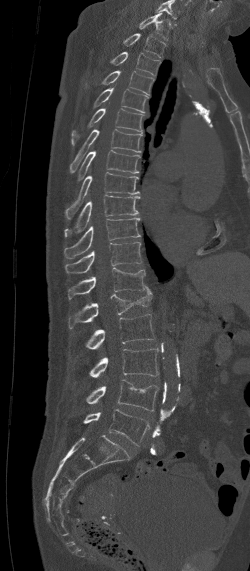
CT. sagittal view. Bone window (WL 400, WW 1800)
Each vertebra maps to its box as [x1, y1, x2, y2], the pixel coordinates of its top-left and bottom-right corners.
In this scan, the topmost labeled vertebra is C7 and the lowest is L5.
{"vertebrae":{"C7":[139,13,170,39],"T1":[123,33,166,57],"T2":[110,52,160,74],"T3":[85,70,153,95],"T4":[94,88,149,112],"T5":[71,102,144,145],"T6":[69,129,143,173],"T7":[77,150,140,182],"T8":[65,172,139,218],"T9":[64,195,139,237],"T10":[64,218,141,258],"T11":[65,242,141,273],"T12":[68,267,146,299],"L1":[68,286,152,328],"L2":[86,314,155,349],"L3":[89,348,158,377],"L4":[86,379,159,411],"L5":[83,409,150,445]}}